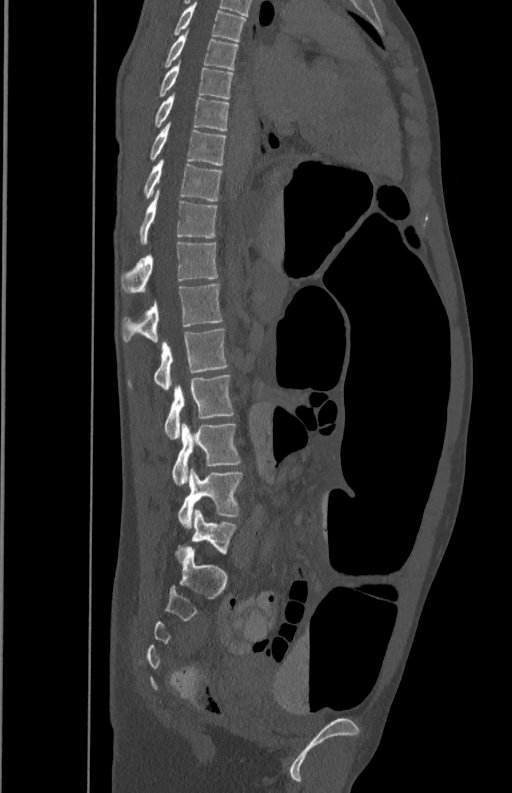
Spine computed tomography — the image spans 350 mm across — sagittal view — Bone window (WL 400, WW 1800)
Each box is [x1, y1, x2, y2] in pixels: top-left corner, then bottom-right corner.
{"vertebrae":{"T5":[172,3,245,41],"T6":[162,34,237,69],"T7":[158,65,233,98],"T8":[153,95,228,131],"T9":[149,122,226,165],"T10":[143,159,221,200],"T11":[139,190,217,243],"T12":[121,241,217,293],"L1":[123,283,223,341],"L2":[128,329,227,391],"L3":[165,374,233,439],"L4":[172,423,240,486],"L5":[178,467,242,528]}}